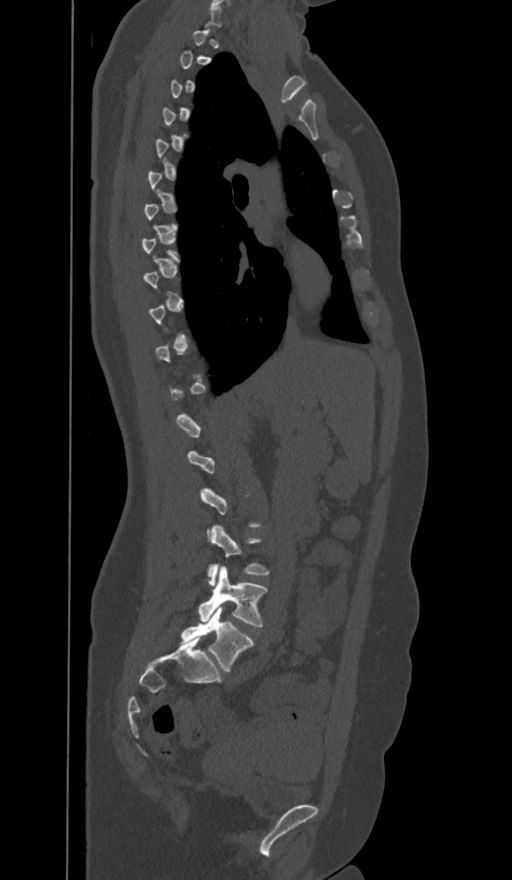 CT spine · sagittal view · bone window

A vertebra is boxed only from the first to the last slice where its cross-section is at least a third of its largest; slices outside that range leave it without a box.
The labels name a sixth lumbar vertebra for this spine: L6, after L5.
<vertebrae><v name="L4" x1="208" y1="525" x2="270" y2="585"/><v name="L5" x1="198" y1="567" x2="267" y2="627"/><v name="L6" x1="181" y1="606" x2="253" y2="672"/></vertebrae>